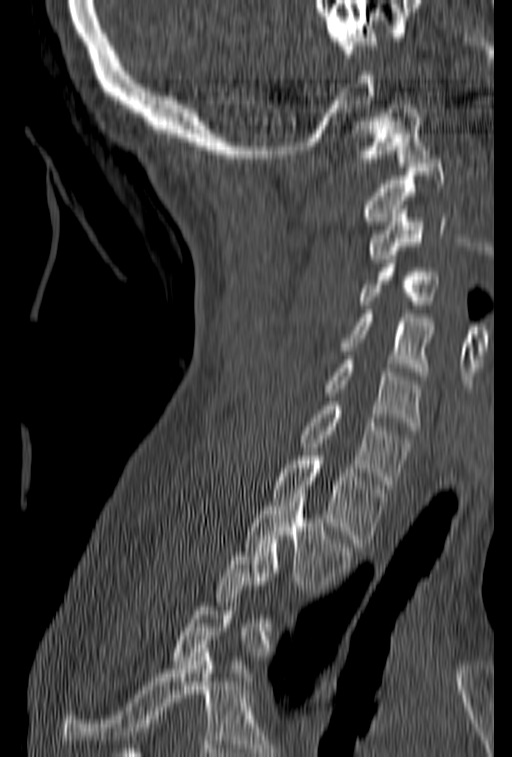 CT · sagittal reformat · 512x757 px. Box edges are left/top/right/bottom in pixels.
Not every vertebra on this slice has a box: a vertebra is boxed only from the first to the last slice where its cross-section is at least a third of its largest, and this slice is outside that range for at least one of them.
C1: left=347, top=109, right=430, bottom=166
C2: left=363, top=159, right=445, bottom=229
C3: left=366, top=205, right=445, bottom=263
C4: left=357, top=251, right=439, bottom=309
C5: left=342, top=310, right=432, bottom=375
C6: left=325, top=356, right=422, bottom=430
C7: left=299, top=397, right=412, bottom=488
T1: left=271, top=452, right=388, bottom=547
T2: left=245, top=494, right=353, bottom=589